CT — sagittal plane, index 112 — scan covers 18 annotated vertebrae
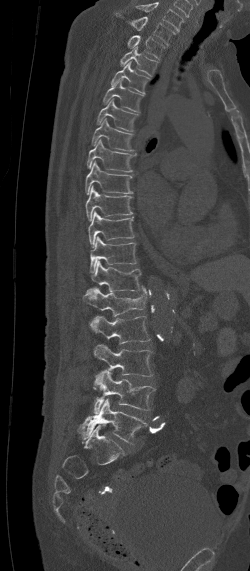

Each box is [x1, y1, x2, y2] in pixels: top-left corner, then bottom-right corner.
Labels in this scan begin with C7 at the top and end with L5 at the bottom.
{"vertebrae":{"L5":[77,399,147,443],"L4":[93,370,156,413],"L3":[94,345,152,376],"L2":[90,315,149,343],"L1":[84,286,147,316],"T12":[86,260,141,293],"T11":[90,237,136,273],"T10":[88,211,134,247],"T9":[85,186,132,220],"T8":[85,161,133,194],"T7":[87,139,136,171],"T6":[91,118,134,151],"T5":[96,98,138,131],"T4":[103,79,144,112],"T3":[111,60,149,94],"T2":[120,46,158,77],"T1":[127,35,165,60],"C7":[125,16,175,45]}}